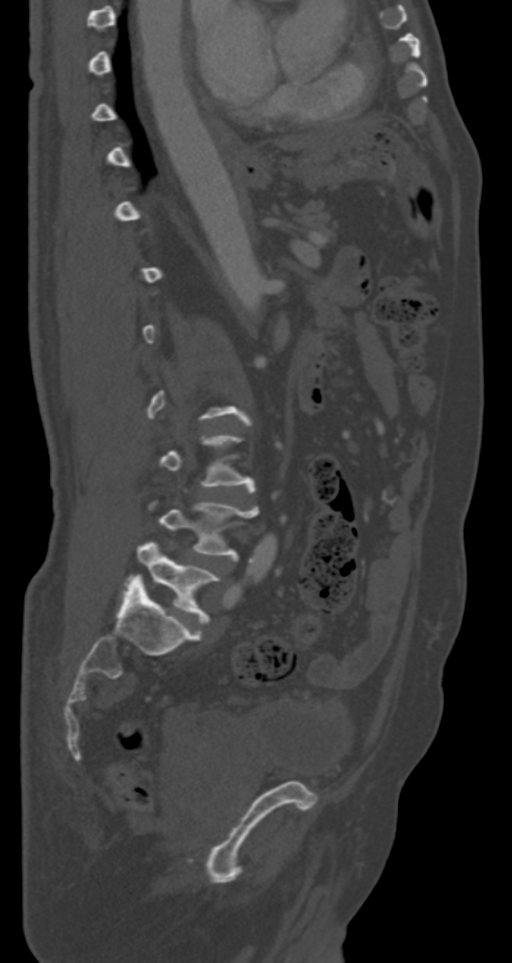 CT spine; sagittal view; 512x963 px
A vertebra is boxed only from the first to the last slice where its cross-section is at least a third of its largest; slices outside that range leave it without a box.
<vertebrae><v name="L4" x1="158" y1="501" x2="259" y2="558"/><v name="L5" x1="124" y1="542" x2="220" y2="621"/></vertebrae>